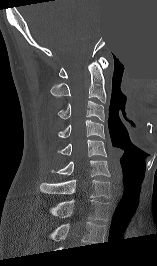

Computed tomography of the spine · sagittal view · W/L 1800/400 HU · an area of the scan was removed and filled with constant pixels. Each box given as x1,y1,x2,y2.
This scan's labels start at C1 at the top and end at T1 at the bottom.
| vertebra | x1 | y1 | x2 | y2 |
|---|---|---|---|---|
| T1 | 49 | 199 | 108 | 221 |
| C7 | 40 | 180 | 109 | 198 |
| C6 | 51 | 160 | 110 | 176 |
| C5 | 57 | 139 | 106 | 156 |
| C4 | 58 | 120 | 104 | 138 |
| C3 | 57 | 100 | 104 | 121 |
| C2 | 50 | 61 | 105 | 103 |
| C1 | 59 | 57 | 108 | 78 |